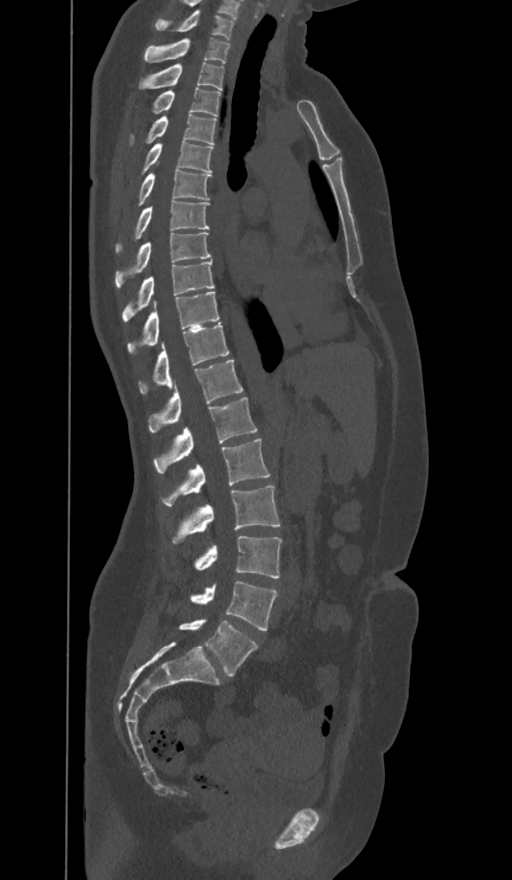
Spine CT — sagittal view
Coordinates as <box>x1,y1,x2,y2</box>.
These labels give the spine a sixth lumbar vertebra, L6, below L5.
Vertebra bounding boxes:
- C7: <box>156,11,233,40</box>
- T1: <box>144,38,229,63</box>
- T2: <box>139,63,223,89</box>
- T3: <box>152,87,219,116</box>
- T4: <box>130,113,215,143</box>
- T5: <box>142,140,212,173</box>
- T6: <box>138,160,210,205</box>
- T7: <box>115,200,208,253</box>
- T8: <box>115,233,210,287</box>
- T9: <box>122,261,214,322</box>
- T10: <box>127,291,219,353</box>
- T11: <box>138,323,229,394</box>
- T12: <box>149,360,242,433</box>
- L1: <box>155,397,256,472</box>
- L2: <box>161,439,270,505</box>
- L3: <box>172,485,279,542</box>
- L4: <box>194,536,281,578</box>
- L5: <box>190,582,277,630</box>
- L6: <box>179,619,258,677</box>